CT, spine; sagittal plane, index 297; 512x919 px
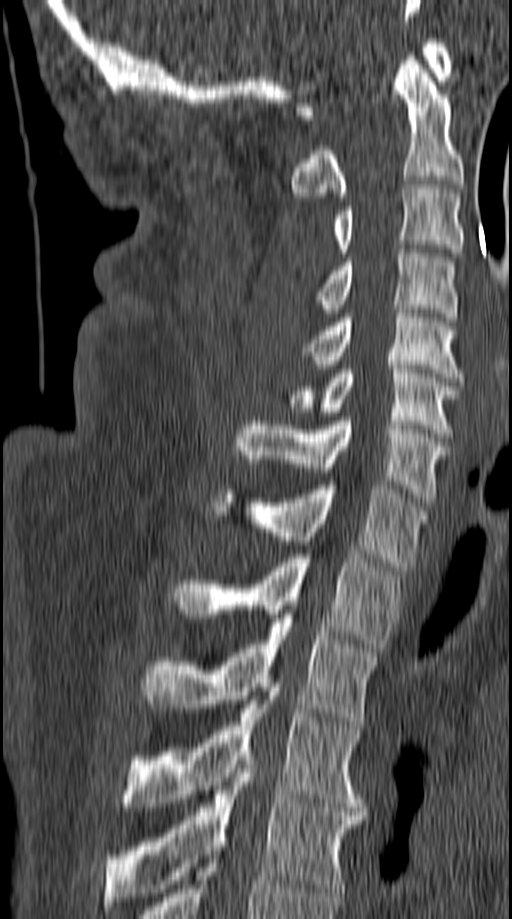 Boxes: x1:y1:x2:y2 in pixels.
C1: 295:39:451:119
C2: 291:56:464:201
C3: 331:185:464:257
C4: 315:249:457:321
C5: 304:305:465:381
C6: 286:365:460:437
C7: 235:417:450:502
T1: 211:481:426:570
T2: 173:554:399:652
T3: 142:614:378:725
T4: 121:692:361:811
T5: 104:760:366:914